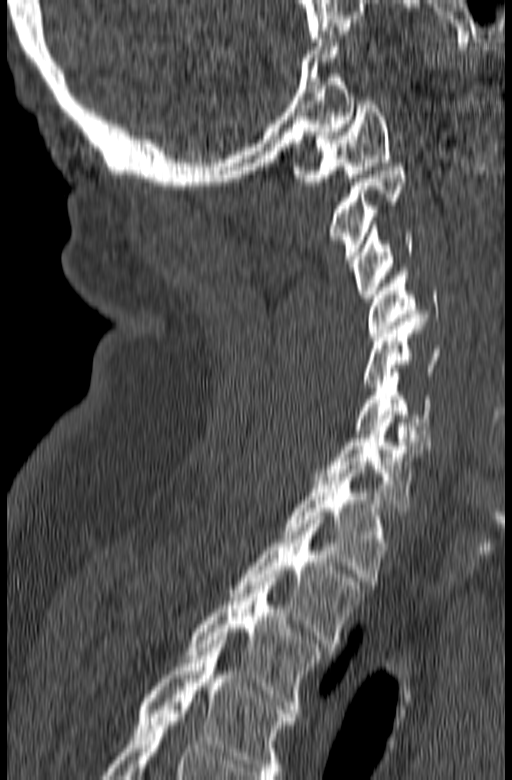 Spine computed tomography · sagittal view · bone-window reconstruction
Each box given as x1,y1,x2,y2.
This scan's labels start at C1 at the top and end at T3 at the bottom.
Vertebra bounding boxes:
- T3: x1=185, y1=578, x2=322, y2=713
- T2: x1=229, y1=520, x2=365, y2=647
- T1: x1=281, y1=465, x2=388, y2=581
- C7: x1=314, y1=411, x2=426, y2=511
- C6: x1=354, y1=372, x2=432, y2=441
- C5: x1=363, y1=318, x2=441, y2=387
- C4: x1=367, y1=268, x2=438, y2=336
- C3: x1=352, y1=225, x2=413, y2=298
- C2: x1=327, y1=163, x2=407, y2=267
- C1: x1=292, y1=101, x2=391, y2=185